CT. sagittal reformat. W/L 1800/400 HU. 333 mm wide
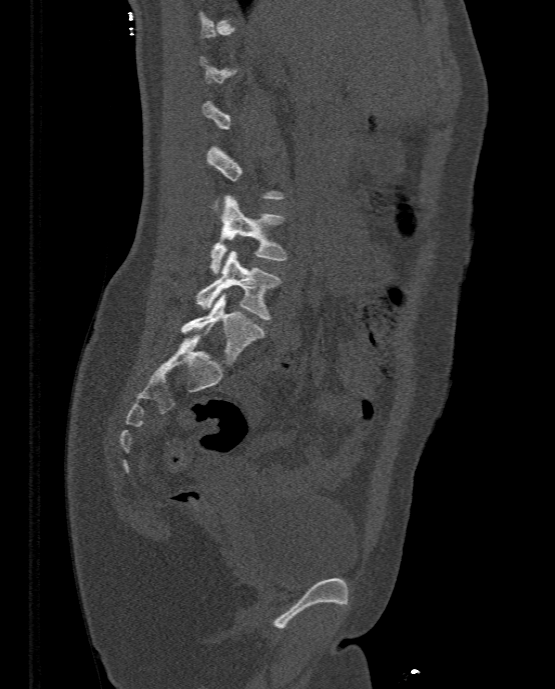
Box values are [left, top, right, bottom] in pixels.
Each vertebra is boxed only on the slices from the first to the last where its cross-section reaches a third of its largest, so a slice outside that range leaves it unboxed.
{"vertebrae":{"L3":[208,195,285,274],"L4":[195,250,281,319],"L5":[181,292,263,364]}}